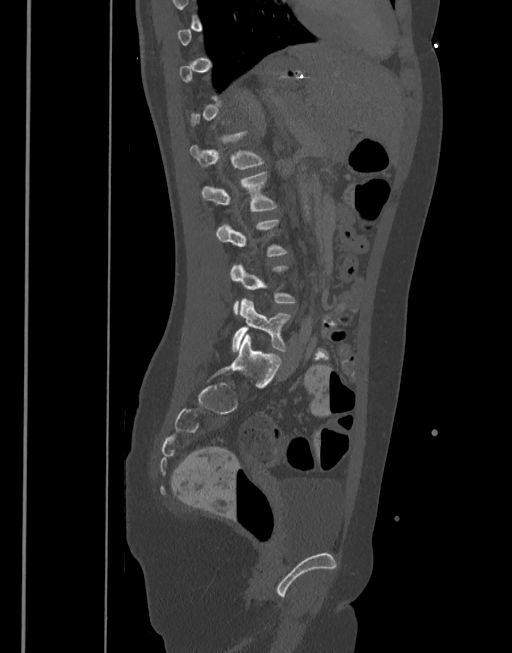

Spine CT — sagittal view — Bone window (WL 400, WW 1800) — 512x653 px
Each vertebra maps to its box as [x1, y1, x2, y2], the pixel coordinates of its top-left and bottom-right corners.
A vertebra gets a box only on the slices from the first to the last where its cross-section is at least a third of its largest; on a slice outside that range it gets none.
{"vertebrae":{"L1":[190,131,264,169],"L2":[202,171,277,210],"L4":[229,264,295,314],"L5":[232,298,291,352]}}